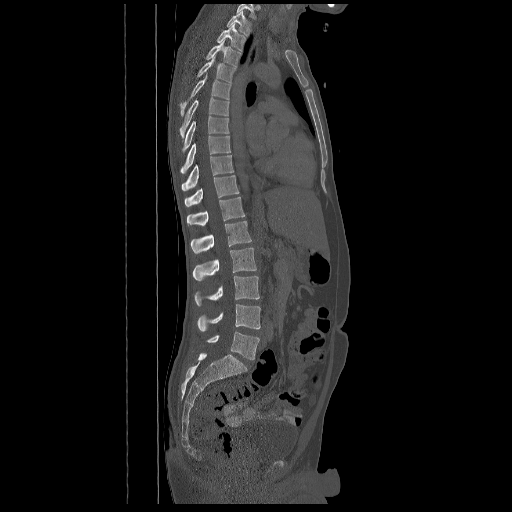 Spine CT. sagittal view

Box edges are left/top/right/bottom in pixels.
In this scan, the topmost labeled vertebra is T2 and the lowest is L5.
| vertebra | x1 | y1 | x2 | y2 |
|---|---|---|---|---|
| T2 | 227 | 11 | 252 | 35 |
| T3 | 216 | 24 | 246 | 51 |
| T4 | 206 | 40 | 241 | 67 |
| T5 | 196 | 56 | 235 | 83 |
| T6 | 180 | 74 | 231 | 115 |
| T7 | 180 | 97 | 229 | 138 |
| T8 | 182 | 116 | 229 | 151 |
| T9 | 181 | 136 | 231 | 173 |
| T10 | 181 | 155 | 234 | 191 |
| T11 | 184 | 175 | 239 | 206 |
| T12 | 187 | 196 | 244 | 225 |
| L1 | 190 | 221 | 251 | 253 |
| L2 | 193 | 248 | 256 | 280 |
| L3 | 195 | 276 | 259 | 306 |
| L4 | 197 | 304 | 260 | 331 |
| L5 | 206 | 331 | 259 | 359 |